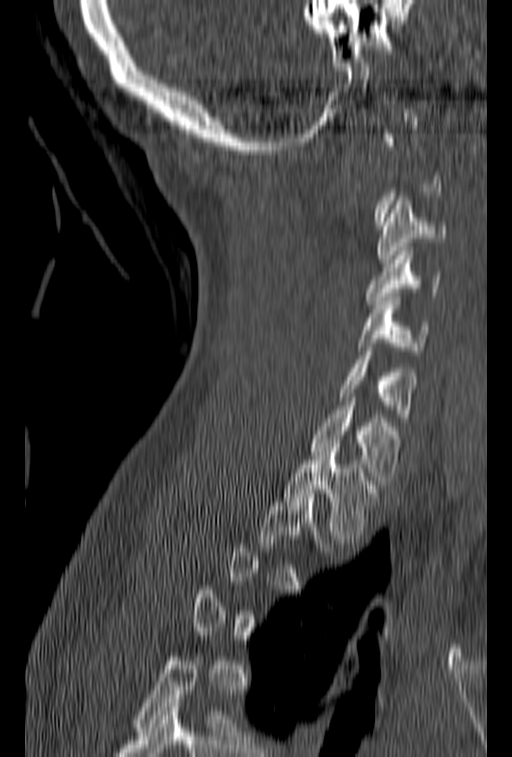
Computed tomography of the spine · sagittal view · 512x757 px
Bounding boxes as [x1, y1, x2, y2] in pixel coordinates.
Each vertebra is boxed only on the slices from the first to the last where its cross-section reaches a third of its largest, so a slice outside that range leaves it unboxed.
C3: [376, 197, 446, 263]
C4: [366, 247, 442, 304]
C5: [359, 297, 429, 350]
C6: [337, 343, 417, 421]
C7: [311, 393, 402, 484]
T1: [283, 452, 380, 543]